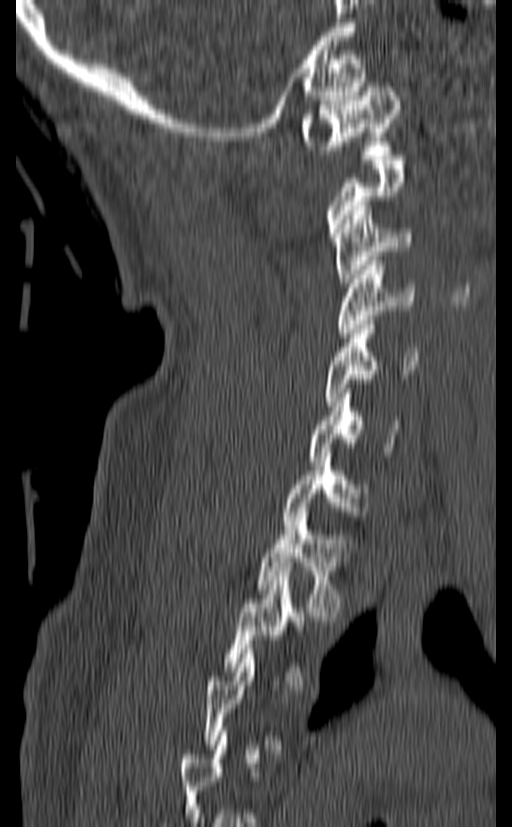 Spine CT; sagittal view; 512x827 px

Each vertebra maps to its box as [x1, y1, x2, y2], the pixel coordinates of its top-left and bottom-right corners.
Not every vertebra on this slice has a box: a vertebra is boxed only from the first to the last slice where its cross-section is at least a third of its largest, and this slice is outside that range for at least one of them.
{"vertebrae":{"T2":[224,571,311,685],"T1":[257,512,353,616],"C7":[283,453,370,529],"C6":[309,384,399,461],"C5":[323,320,417,406],"C4":[334,261,415,337],"C3":[333,206,412,287],"C1":[301,82,399,154]}}